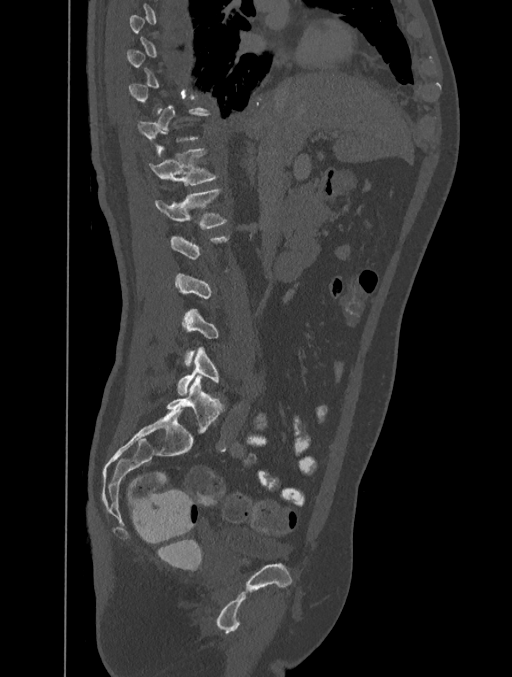
Computed tomography of the spine — sagittal view — the image is 401 mm wide — bone-window reconstruction
In the table, x1 and y1 are a box's top-left corner and x2 and y2 its bottom-right corner, in pixels.
Each vertebra is boxed only on the slices from the first to the last where its cross-section reaches a third of its largest, so a slice outside that range leaves it unboxed.
| vertebra | x1 | y1 | x2 | y2 |
|---|---|---|---|---|
| L5 | 177 | 347 | 218 | 395 |
| L1 | 154 | 190 | 227 | 229 |
| T12 | 149 | 148 | 217 | 185 |